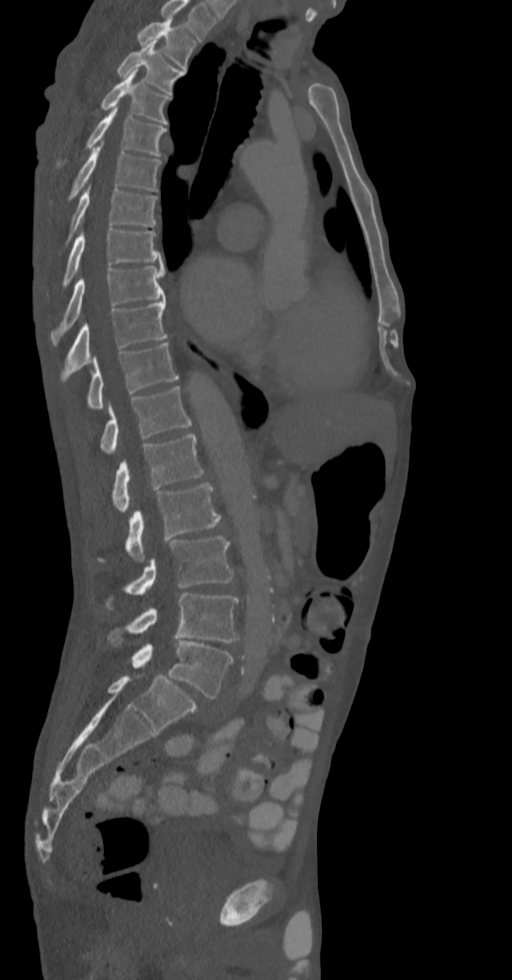
Spine computed tomography · sagittal view · Bone window (WL 400, WW 1800)

Each box is [x1, y1, x2, y2] in pixels: top-left corner, then bottom-right corner.
Labels in this scan begin with T2 at the top and end with L5 at the bottom.
{"vertebrae":{"L5":[130,640,233,698],"L4":[108,593,239,642],"L3":[106,536,233,609],"L2":[125,483,221,561],"L1":[111,434,204,513],"T12":[100,386,191,453],"T11":[87,343,179,409],"T10":[61,299,168,380],"T9":[50,267,165,343],"T8":[62,229,162,287],"T7":[56,186,157,244],"T6":[68,146,160,200],"T5":[58,107,166,167],"T4":[100,70,171,124],"T3":[117,40,185,95],"T2":[137,18,195,69]}}